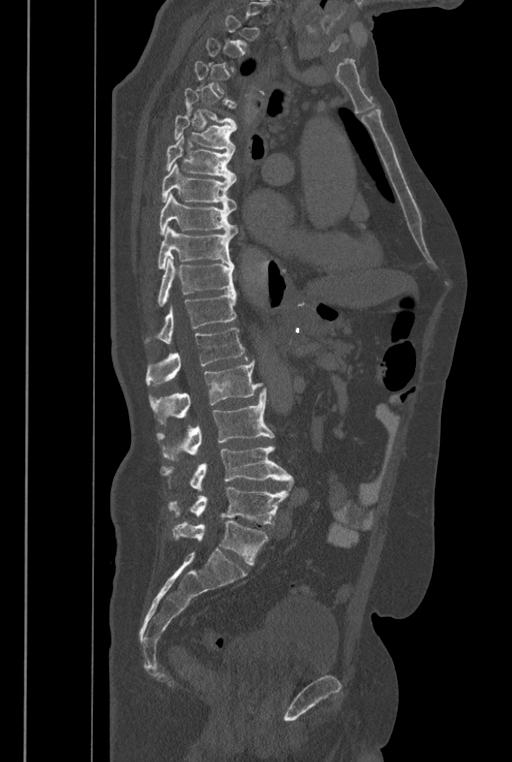 CT spine · the image is 446 mm wide · sagittal view
Boxes are (x1, y1, x2, y2) in pixels. A vertebra gets a box only on the slices from the first to the last where its cross-section is at least a third of its largest; on a slice outside that range it gets none. These labels give the spine a sixth lumbar vertebra, L6, below L5. The labeled vertebrae in this slice are: T5 at (184, 88, 237, 129), T6 at (174, 114, 237, 152), T7 at (165, 134, 237, 181), T8 at (162, 163, 235, 210), T9 at (159, 193, 237, 235), T10 at (157, 225, 234, 269), T11 at (157, 258, 235, 307), T12 at (144, 291, 237, 344), L1 at (146, 328, 248, 385), L2 at (149, 360, 262, 423), L3 at (157, 388, 274, 460), L4 at (162, 445, 293, 491), L5 at (169, 487, 288, 524), L6 at (172, 521, 268, 564).